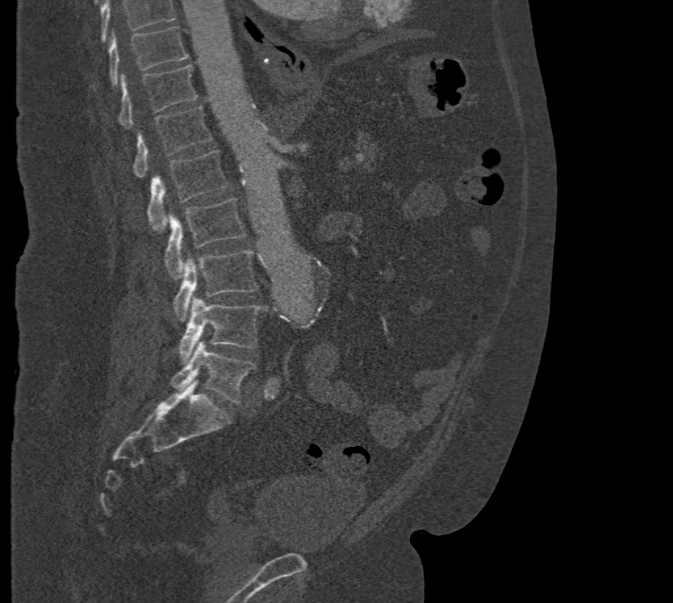
CT spine; sagittal view; Bone window (WL 400, WW 1800)

Bounding boxes as [x1, y1, x2, y2] in pixel coordinates.
No box is given to a vertebra that the top edge of the scan cuts off.
Vertebra bounding boxes:
- T10: [109, 26, 187, 85]
- T11: [117, 65, 197, 128]
- T12: [133, 106, 212, 177]
- L1: [147, 150, 228, 231]
- L2: [164, 198, 245, 277]
- L3: [172, 250, 258, 321]
- L4: [179, 296, 264, 362]
- L5: [171, 340, 255, 402]